CT spine — sagittal plane, index 242
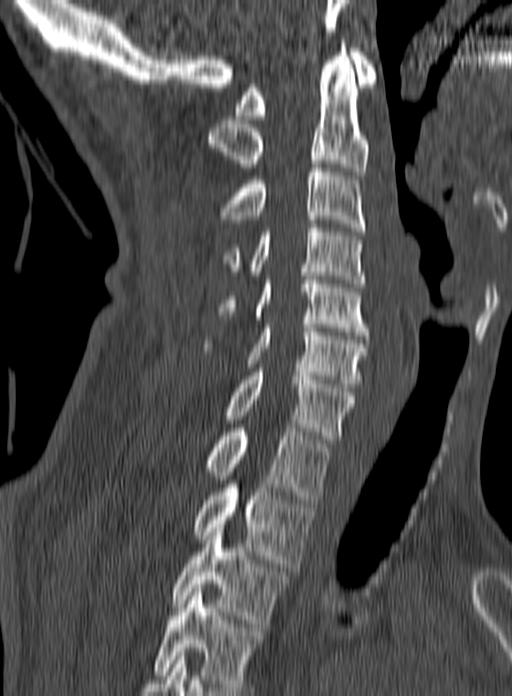

This scan's labels start at C1 at the top and end at T3 at the bottom.
<vertebrae><v name="C1" x1="234" y1="48" x2="377" y2="119"/><v name="C2" x1="207" y1="44" x2="369" y2="175"/><v name="C3" x1="219" y1="164" x2="365" y2="231"/><v name="C4" x1="222" y1="224" x2="365" y2="287"/><v name="C5" x1="218" y1="272" x2="368" y2="335"/><v name="C6" x1="202" y1="324" x2="369" y2="387"/><v name="C7" x1="225" y1="368" x2="355" y2="443"/><v name="T1" x1="206" y1="428" x2="331" y2="503"/><v name="T2" x1="193" y1="480" x2="314" y2="567"/><v name="T3" x1="171" y1="524" x2="288" y2="627"/></vertebrae>